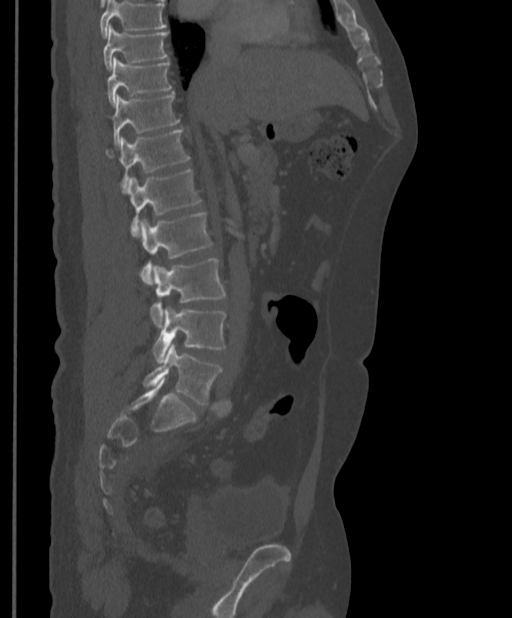
Spine CT; sagittal reformat; W/L 1800/400 HU; 512x618 px
Each row gives a vertebra's box as x1, y1, x2, y2 in pixels: top-left corner, then bottom-right corner.
A vertebra cut off by the top edge of the scan is not labeled and has no box.
| vertebra | x1 | y1 | x2 | y2 |
|---|---|---|---|---|
| L5 | 143 | 343 | 222 | 404 |
| L4 | 152 | 307 | 226 | 363 |
| L3 | 151 | 258 | 225 | 327 |
| L2 | 139 | 213 | 213 | 284 |
| L1 | 124 | 169 | 201 | 235 |
| T12 | 106 | 129 | 188 | 187 |
| T11 | 109 | 94 | 179 | 145 |
| T10 | 107 | 57 | 170 | 105 |
| T9 | 103 | 26 | 168 | 69 |